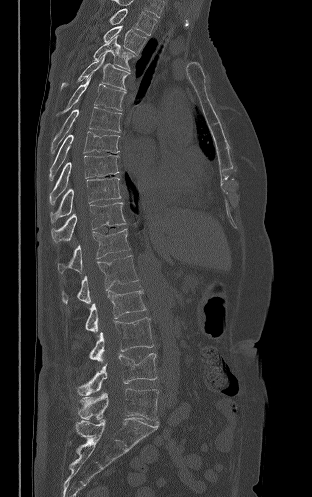
Spine CT; sagittal view; W/L 1800/400 HU; 312 mm across the image
Box values are [left, top, right, bottom] in pixels.
{"vertebrae":{"L5":[78,388,158,422],"L4":[76,353,157,395],"L3":[89,317,153,361],"L2":[85,289,146,332],"L1":[62,255,138,304],"T12":[57,228,130,273],"T11":[51,202,126,242],"T10":[50,177,121,223],"T9":[49,155,119,204],"T8":[49,131,119,180],"T7":[51,107,121,153],"T6":[62,73,125,113],"T5":[61,53,130,90],"T4":[93,35,134,70],"T3":[103,25,146,55],"T2":[109,8,157,35]}}